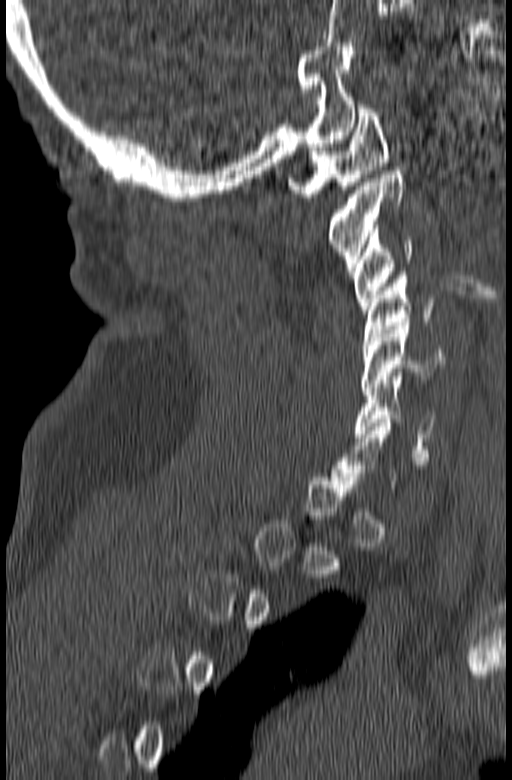

Spine computed tomography — sagittal view — 512x780 px — image width 165 mm

Bounding boxes as [x1, y1, x2, y2] in pixel coordinates. A vertebra gets a box only on the slices from the first to the last where its cross-section is at least a third of its largest; on a slice outside that range it gets none. 6 vertebrae labeled — C1 at [288, 105, 388, 197]; C2 at [330, 167, 405, 271]; C3 at [352, 225, 416, 313]; C4 at [361, 272, 438, 348]; C5 at [361, 322, 445, 391]; C6 at [355, 376, 436, 453].